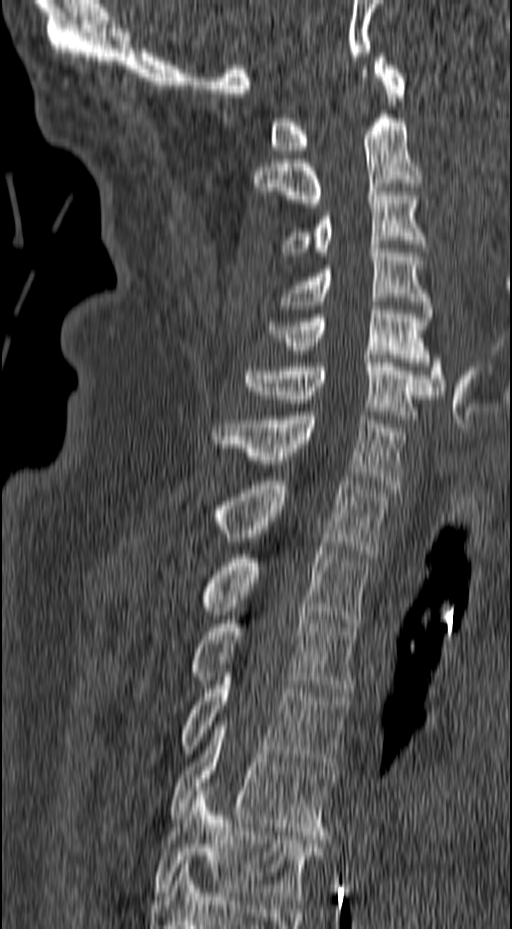 CT, spine · sagittal view · bone-window reconstruction · 512x929 px
Boxes: x1 y1 x2 y2 (pixel coords, space-separated). The labeled vertebrae in this slice are: C1 at 271 53 405 154, C2 at 253 110 422 203, C3 at 282 188 427 256, C4 at 278 245 432 317, C5 at 269 302 445 394, C6 at 244 359 439 419, C7 at 212 412 405 488, T1 at 213 477 388 557, T2 at 200 546 369 627, T3 at 190 611 356 696, T4 at 180 669 349 769, T5 at 170 717 336 839, T6 at 153 787 323 904.